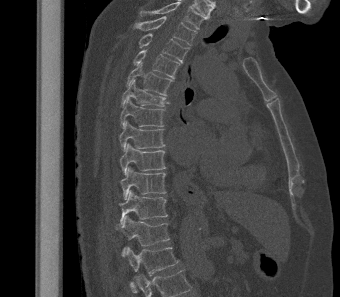 CT spine · sagittal view · the image spans 340 mm across
In the table, x1 and y1 are a box's top-left corner and x2 and y2 its bottom-right corner, in pixels.
This scan's labels start at T2 at the top and end at L1 at the bottom.
| vertebra | x1 | y1 | x2 | y2 |
|---|---|---|---|---|
| T2 | 131 | 16 | 196 | 45 |
| T3 | 138 | 33 | 189 | 62 |
| T4 | 133 | 50 | 180 | 78 |
| T5 | 126 | 62 | 173 | 96 |
| T6 | 121 | 79 | 169 | 107 |
| T7 | 120 | 98 | 164 | 127 |
| T8 | 119 | 120 | 165 | 150 |
| T9 | 119 | 143 | 166 | 174 |
| T10 | 120 | 166 | 166 | 199 |
| T11 | 119 | 190 | 168 | 225 |
| T12 | 116 | 215 | 170 | 255 |
| L1 | 124 | 247 | 179 | 293 |